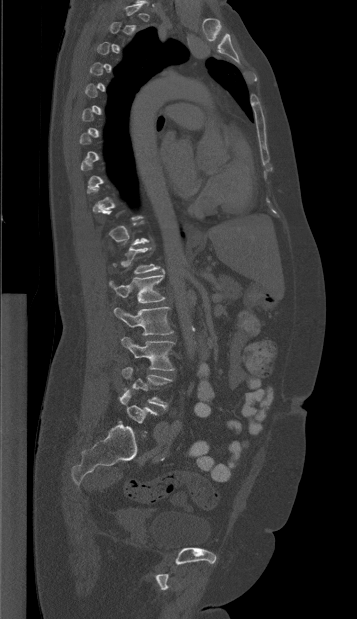
CT spine — sagittal view — 357x619 px

Each row gives a vertebra's box as x1, y1, x2, y2 in pixels: top-left corner, then bottom-right corner.
A vertebra gets a box only on the slices from the first to the last where its cross-section is at least a third of its largest; on a slice outside that range it gets none.
| vertebra | x1 | y1 | x2 | y2 |
|---|---|---|---|---|
| L1 | 109 | 269 | 165 | 303 |
| L2 | 114 | 307 | 173 | 335 |
| L3 | 121 | 337 | 174 | 370 |
| L4 | 122 | 367 | 172 | 409 |
| L5 | 119 | 390 | 157 | 423 |